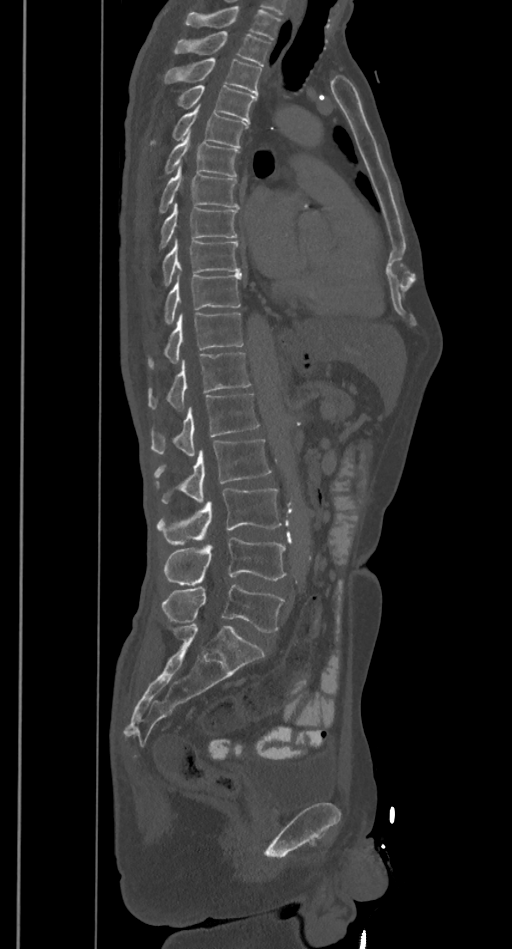
Spine CT · sagittal reformat · bone window

Coordinates as <box>x1,y1,x2,y2</box>.
No box is given to a vertebra that the top edge of the scan cuts off.
L5: <box>162,585,285,632</box>
L4: <box>163,537,286,585</box>
L3: <box>157,487,282,545</box>
L2: <box>154,438,271,503</box>
L1: <box>151,394,259,456</box>
T12: <box>147,352,250,411</box>
T11: <box>147,312,244,369</box>
T10: <box>163,274,241,325</box>
T9: <box>162,238,240,286</box>
T8: <box>159,202,237,249</box>
T7: <box>159,166,238,212</box>
T6: <box>165,134,238,176</box>
T5: <box>153,104,246,147</box>
T4: <box>178,85,257,123</box>
T3: <box>163,59,261,95</box>
T2: <box>174,31,270,66</box>